Spine computed tomography. sagittal view
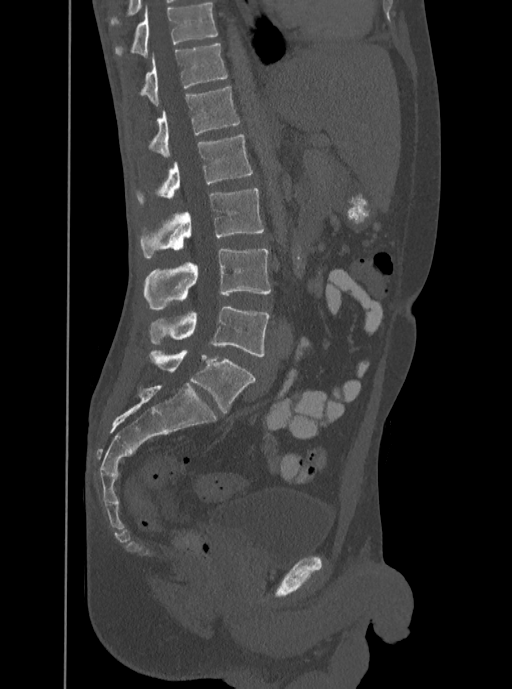

Boxes are given in columns x1, y1, x2, y2, the pixel coordinates of their top-left and bottom-right corners.
In this scan, the topmost labeled vertebra is T12 and the lowest is L5.
| vertebra | x1 | y1 | x2 | y2 |
|---|---|---|---|---|
| T12 | 140 | 43 | 227 | 106 |
| L1 | 148 | 86 | 240 | 158 |
| L2 | 137 | 134 | 252 | 203 |
| L3 | 140 | 188 | 264 | 258 |
| L4 | 143 | 249 | 271 | 310 |
| L5 | 150 | 307 | 269 | 357 |